CT. sagittal view. 11 vertebrae labeled in this scan
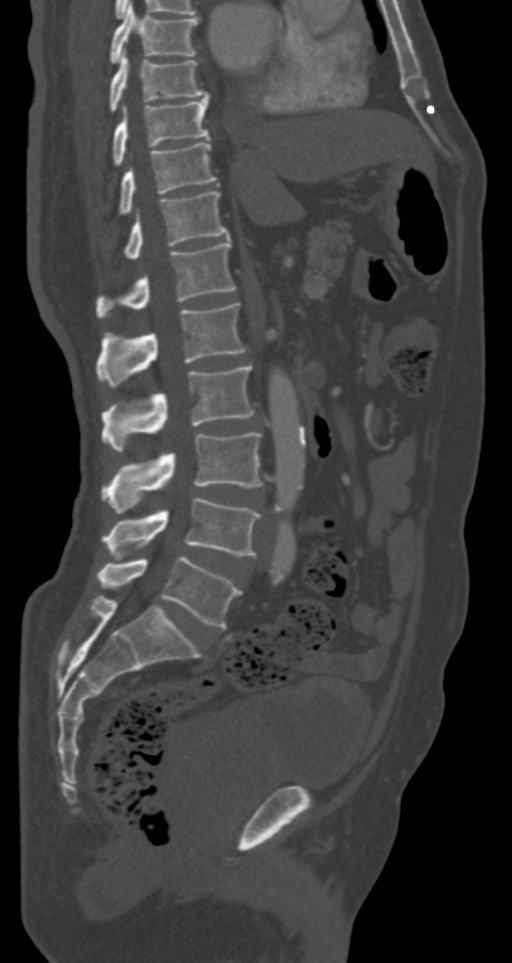

Boxes are given in columns x1, y1, x2, y2, the pixel coordinates of their top-left and bottom-right corners.
| vertebra | x1 | y1 | x2 | y2 |
|---|---|---|---|---|
| T7 | 110 | 4 | 198 | 63 |
| T8 | 108 | 51 | 209 | 111 |
| T9 | 112 | 94 | 209 | 166 |
| T10 | 119 | 142 | 216 | 215 |
| T11 | 124 | 191 | 229 | 259 |
| T12 | 96 | 241 | 236 | 317 |
| L1 | 96 | 303 | 245 | 386 |
| L2 | 101 | 366 | 254 | 452 |
| L3 | 101 | 433 | 263 | 512 |
| L4 | 101 | 497 | 261 | 558 |
| L5 | 96 | 556 | 241 | 628 |